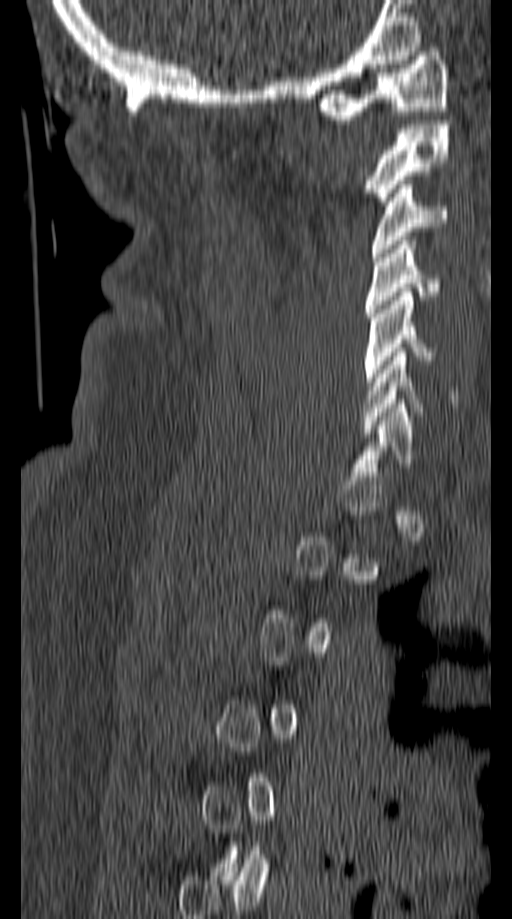 Computed tomography of the spine; sagittal view; bone-window reconstruction; 149 mm image width
Each box given as x1,y1,x2,y2.
A vertebra gets a box only on the slices from the first to the last where its cross-section is at least a third of its largest; on a slice outside that range it gets none.
| vertebra | x1 | y1 | x2 | y2 |
|---|---|---|---|---|
| C6 | 362 | 352 | 458 | 433 |
| C5 | 363 | 292 | 440 | 386 |
| C4 | 365 | 241 | 440 | 317 |
| C3 | 372 | 180 | 450 | 257 |
| C2 | 362 | 120 | 450 | 205 |
| C1 | 317 | 47 | 450 | 119 |